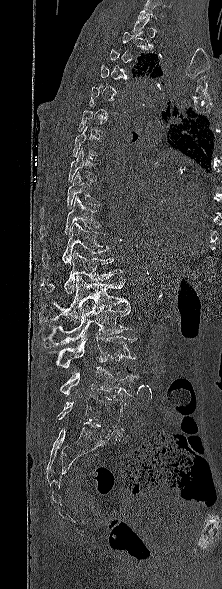 CT spine. sagittal reformat. W/L 1800/400 HU
Each vertebra is boxed only on the slices from the first to the last where its cross-section reaches a third of its largest, so a slice outside that range leaves it unboxed.
<vertebrae><v name="T8" x1="68" y1="148" x2="96" y2="181"/><v name="T9" x1="40" y1="172" x2="100" y2="217"/><v name="T10" x1="40" y1="196" x2="100" y2="239"/><v name="T11" x1="42" y1="221" x2="108" y2="266"/><v name="T12" x1="41" y1="250" x2="123" y2="296"/><v name="L1" x1="38" y1="275" x2="129" y2="322"/><v name="L2" x1="38" y1="303" x2="133" y2="348"/><v name="L3" x1="56" y1="336" x2="137" y2="368"/><v name="L4" x1="60" y1="366" x2="139" y2="399"/><v name="L5" x1="57" y1="395" x2="125" y2="429"/></vertebrae>